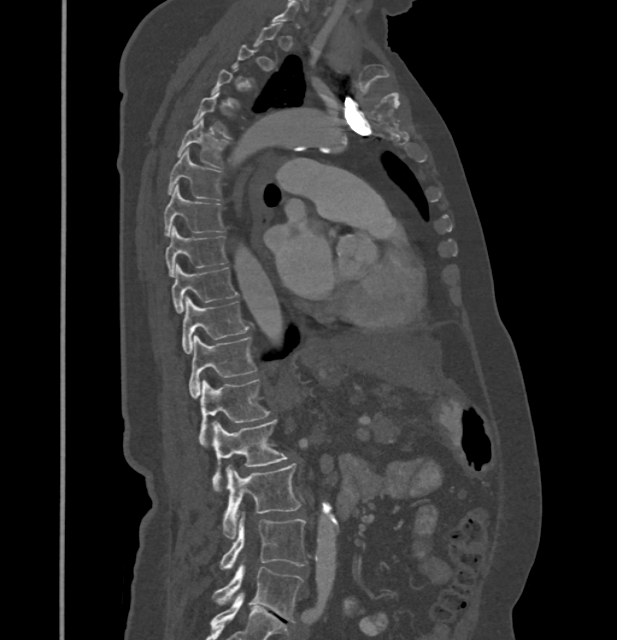 CT, spine — sagittal view
Coordinates as <box>x1,y1,x2,y2</box>.
A vertebra is boxed only from the first to the last slice where its cross-section is at least a third of its largest; slices outside that range leave it without a box.
These labels give this spine no T12: after T11 the next vertebra is L1.
T4: <box>193,93,230,138</box>
T5: <box>177,120,228,171</box>
T6: <box>168,149,221,199</box>
T7: <box>164,185,224,235</box>
T8: <box>165,227,228,276</box>
T9: <box>171,266,238,312</box>
T10: <box>181,297,249,354</box>
T11: <box>188,335,256,398</box>
L1: <box>200,379,269,446</box>
L2: <box>212,420,287,491</box>
L3: <box>223,463,300,538</box>
L4: <box>219,513,308,569</box>
L5: <box>212,565,303,622</box>